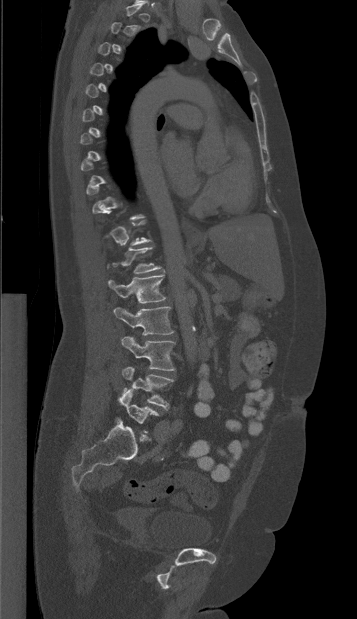 CT spine · sagittal view · W/L 1800/400 HU
Boxes: x1 y1 x2 y2 (pixel coords, space-separated). A vertebra is boxed only from the first to the last slice where its cross-section is at least a third of its largest; slices outside that range leave it without a box. The labeled vertebrae in this slice are: T12 at 108 247 160 273, L1 at 108 270 165 303, L2 at 113 307 174 335, L3 at 121 336 175 370, L4 at 122 367 173 410, L5 at 118 389 159 432.